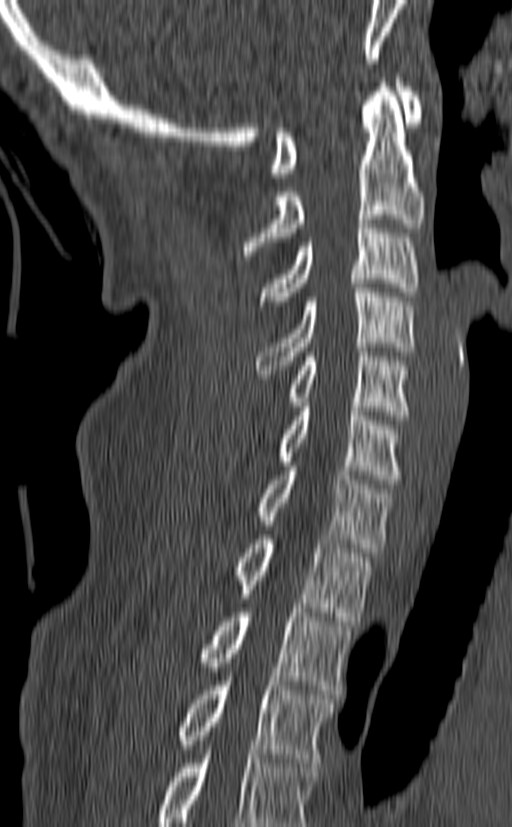
CT, spine; sagittal view; W/L 1800/400 HU; 140 mm image width
Coordinates as <box>x1,y1,x2,y2</box>.
In this scan, the topmost labeled vertebra is C1 and the lowest is T3.
T3: <box>177,681,337,762</box>
T2: <box>199,608,351,694</box>
T1: <box>232,535,373,621</box>
C7: <box>254,462,392,552</box>
C6: <box>276,402,403,484</box>
C5: <box>287,347,410,420</box>
C4: <box>254,283,414,378</box>
C3: <box>260,219,419,305</box>
C2: <box>243,78,425,255</box>
C1: <box>271,78,425,177</box>